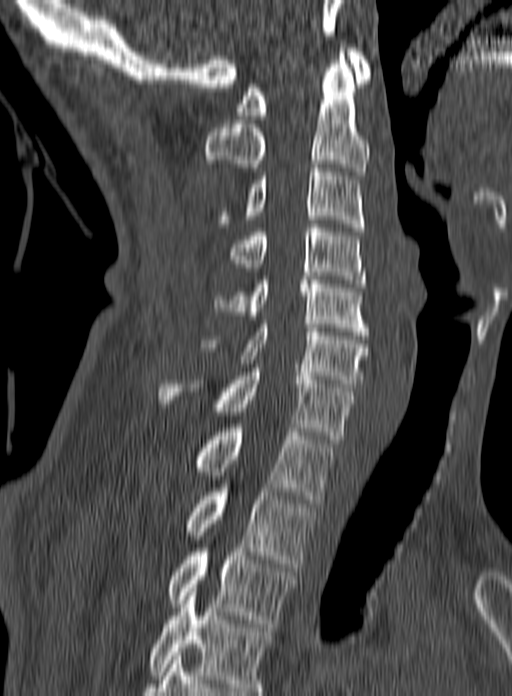 CT; sagittal view; the image is 160 mm wide

Boxes: x1 y1 x2 y2 (pixel coords, space-separated).
This scan's labels start at C1 at the top and end at T3 at the bottom.
C1: 236 48 371 119
C2: 204 48 369 175
C3: 217 164 365 231
C4: 228 224 366 287
C5: 213 280 368 335
C6: 201 320 368 387
C7: 158 368 354 443
T1: 196 428 334 503
T2: 187 484 314 571
T3: 168 548 297 627